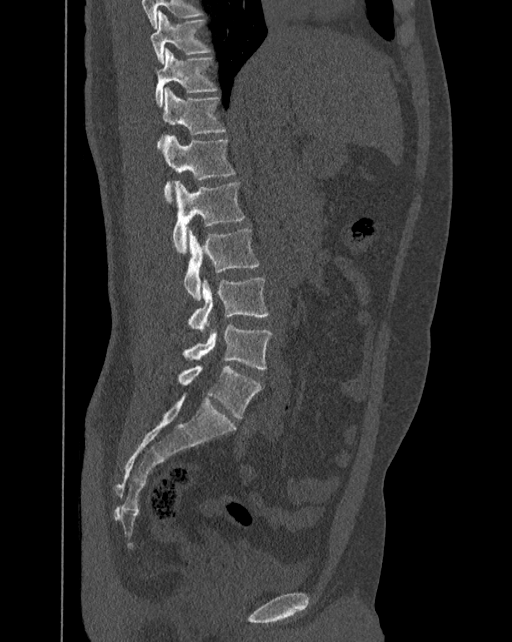 CT, spine; sagittal view; W/L 1800/400 HU
These labels give the spine a sixth lumbar vertebra, L6, below L5.
<vertebrae><v name="T10" x1="150" y1="11" x2="210" y2="64"/><v name="T11" x1="155" y1="48" x2="217" y2="107"/><v name="T12" x1="158" y1="87" x2="226" y2="147"/><v name="L1" x1="163" y1="135" x2="235" y2="202"/><v name="L2" x1="172" y1="181" x2="244" y2="252"/><v name="L3" x1="184" y1="229" x2="259" y2="299"/><v name="L4" x1="188" y1="277" x2="268" y2="330"/><v name="L5" x1="182" y1="324" x2="272" y2="369"/><v name="L6" x1="177" y1="364" x2="261" y2="419"/></vertebrae>